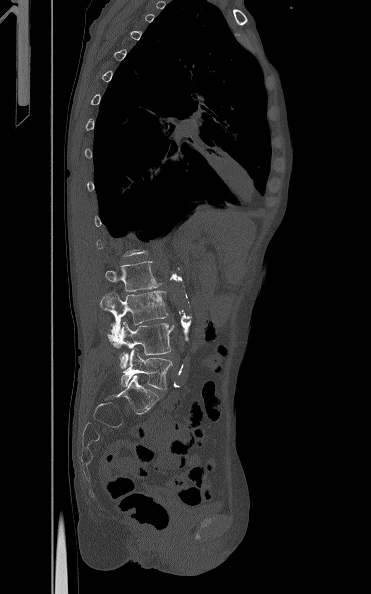
CT spine; sagittal view

Boxes below are [x1, y1, x2, y2] in pixels.
Not every vertebra on this slice has a box: a vertebra is boxed only from the first to the last slice where its cross-section is at least a third of its largest, and this slice is outside that range for at least one of them.
{"vertebrae":{"L5":[120,348,172,389],"L4":[107,321,174,368],"L3":[100,290,168,335],"L2":[105,261,161,291]}}